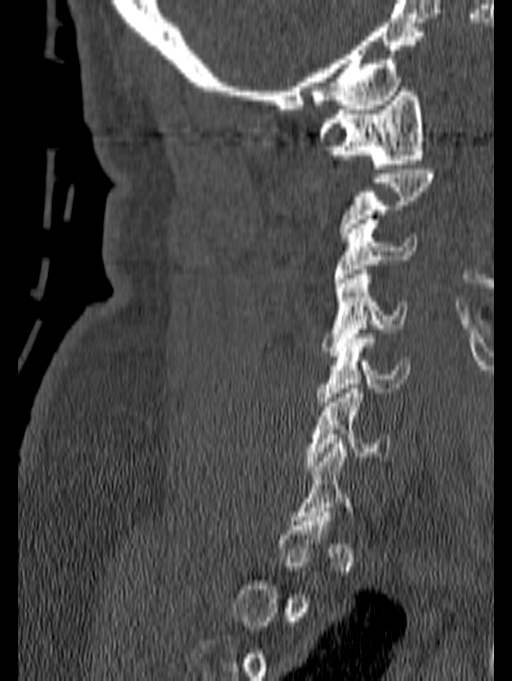

CT, spine; sagittal view. Box edges are left/top/right/bottom in pixels. A vertebra is boxed only from the first to the last slice where its cross-section is at least a third of its largest; slices outside that range leave it without a box. The labeled vertebrae in this slice are: C1 at left=317, top=87, right=424, bottom=168, C3 at left=333, top=219, right=418, bottom=282, C4 at left=321, top=270, right=407, bottom=356, C5 at left=316, top=334, right=410, bottom=406, C6 at left=305, top=384, right=390, bottom=470.